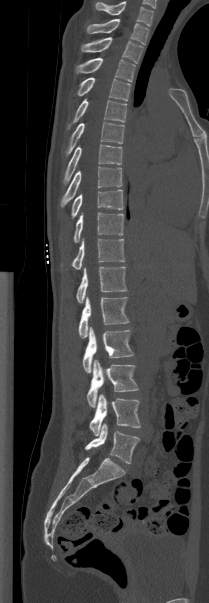

Computed tomography of the spine · sagittal view · 209x603 px
Boxes: x1:y1:x2:y2 in pixels. This scan's labels start at T1 at the top and end at L5 at the bottom. Vertebrae labeled: T1 at 87:19:148:44, T2 at 81:37:143:63, T3 at 75:58:135:81, T4 at 76:77:130:101, T5 at 67:99:126:129, T6 at 65:122:124:155, T7 at 63:144:122:183, T8 at 61:167:122:207, T9 at 71:189:123:217, T10 at 73:212:123:242, T11 at 71:239:124:269, T12 at 76:266:126:303, L1 at 78:296:129:338, L2 at 82:327:133:372, L3 at 87:359:138:407, L4 at 89:394:140:435, L5 at 85:423:139:463.